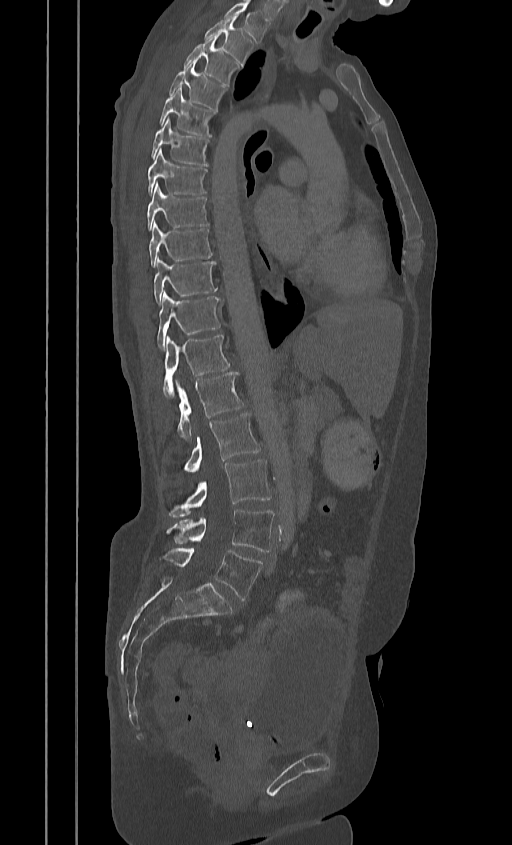
Spine CT; sagittal view; image width 384 mm. Boxes: x1 y1 x2 y2 (pixel coords, space-separated).
This scan's labels start at T2 at the top and end at L5 at the bottom.
T2: 204 17 251 66
T3: 184 37 238 86
T4: 169 60 225 110
T5: 158 88 215 136
T6: 150 116 209 166
T7: 148 148 207 195
T8: 146 183 208 230
T9: 149 221 212 267
T10: 153 259 217 304
T11: 157 291 220 350
T12: 162 335 229 398
L1: 176 372 244 440
L2: 184 413 261 472
L3: 168 460 271 518
L4: 166 509 275 552
L5: 161 548 261 600